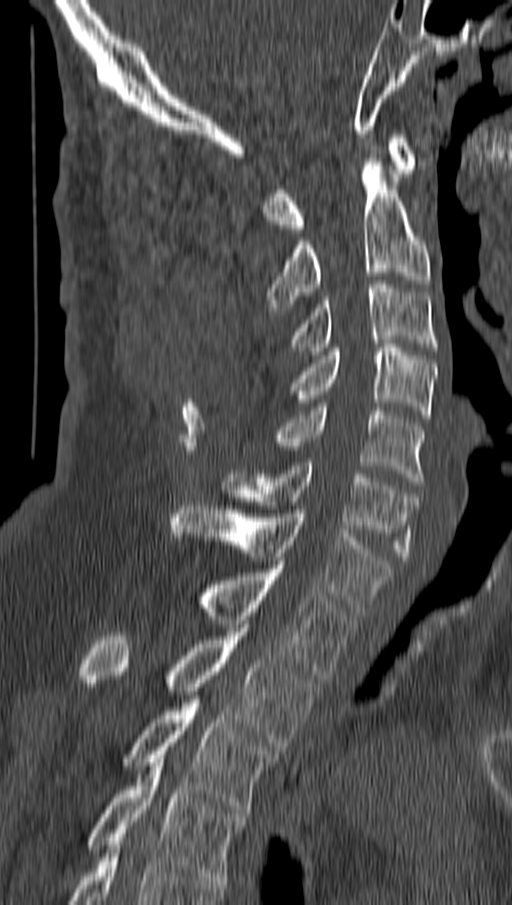

Computed tomography of the spine — sagittal view — 512x905 px — the image spans 162 mm across. Bounding boxes as [x1, y1, x2, y2] in pixel coordinates. Vertebrae labeled: C1 at [263, 134, 417, 232], C2 at [267, 158, 430, 315], C3 at [289, 280, 437, 355], C4 at [292, 344, 436, 422], C5 at [273, 407, 424, 485], C6 at [222, 462, 417, 560], C7 at [169, 502, 392, 615], T1 at [194, 565, 354, 679], T2 at [80, 628, 319, 750], T3 at [121, 699, 278, 817], T4 at [86, 762, 247, 884].